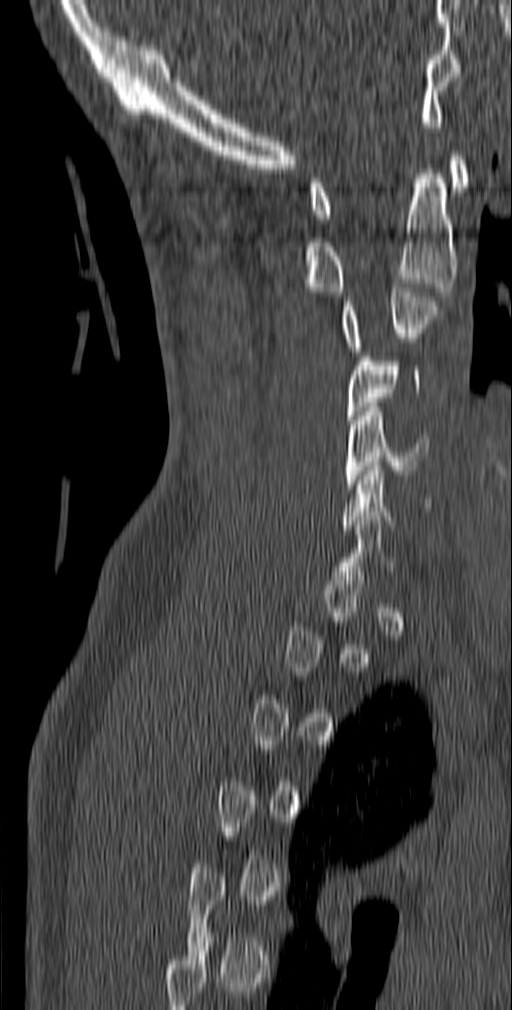

CT spine; sagittal reformat

Bounding boxes as [x1, y1, x2, y2] in pixel coordinates. Each vertebra is boxed only on the slices from the first to the last where its cross-section reaches a third of its largest, so a slice outside that range leaves it unboxed. The labeled vertebrae in this slice are: C1 at [309, 151, 469, 218], C2 at [301, 169, 458, 292], C3 at [341, 283, 439, 351], C4 at [347, 361, 420, 420], C5 at [345, 407, 430, 488], C6 at [341, 462, 432, 529].